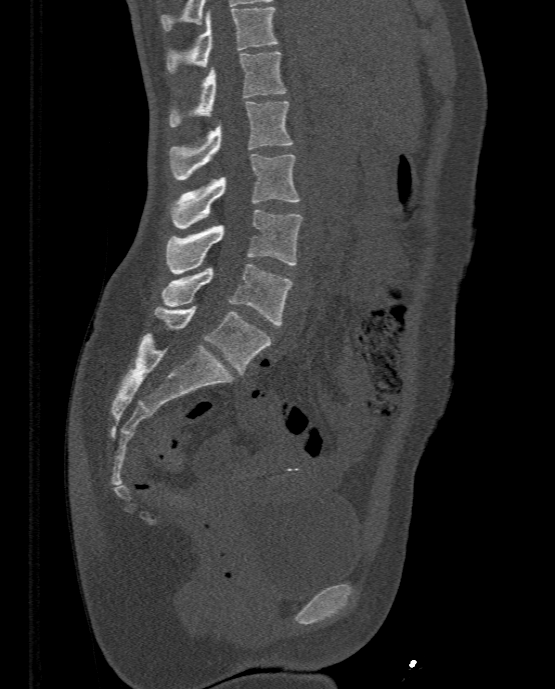

CT · sagittal view · W/L 1800/400 HU

Each box given as x1,y1,x2,y2.
T11: x1=166, y1=6, x2=276, y2=73
T12: x1=169, y1=51, x2=285, y2=126
L1: x1=170, y1=101, x2=292, y2=180
L2: x1=170, y1=154, x2=300, y2=228
L3: x1=166, y1=210, x2=303, y2=274
L4: x1=162, y1=263, x2=293, y2=325
L5: x1=155, y1=305, x2=272, y2=373